Spine CT — sagittal view — bone window
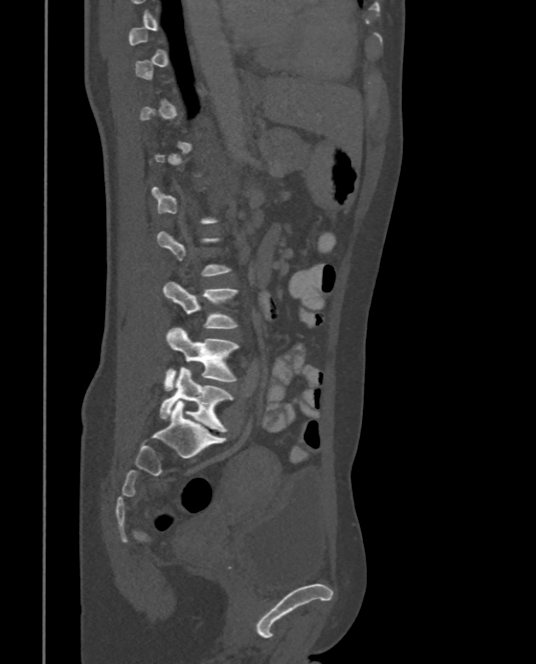 Boxes: x1 y1 x2 y2 (pixel coords, space-separated).
Each vertebra is boxed only on the slices from the first to the last where its cross-section reaches a third of its largest, so a slice outside that range leaves it unboxed.
Vertebra bounding boxes:
- L3: 162 281 238 329
- L4: 163 327 239 389
- L5: 160 367 231 432